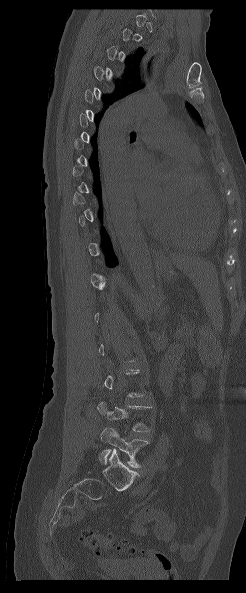

CT · sagittal view
Columns x1, y1, x2, y2 give each box's top-left and bottom-right pixels.
Each vertebra is boxed only on the slices from the first to the last where its cross-section reaches a third of its largest, so a slice outside that range leaves it unboxed.
| vertebra | x1 | y1 | x2 | y2 |
|---|---|---|---|---|
| L4 | 97 | 401 | 151 | 431 |
| L5 | 99 | 428 | 148 | 467 |